Spine CT; Sagittal slice 330/512; the image spans 150 mm across
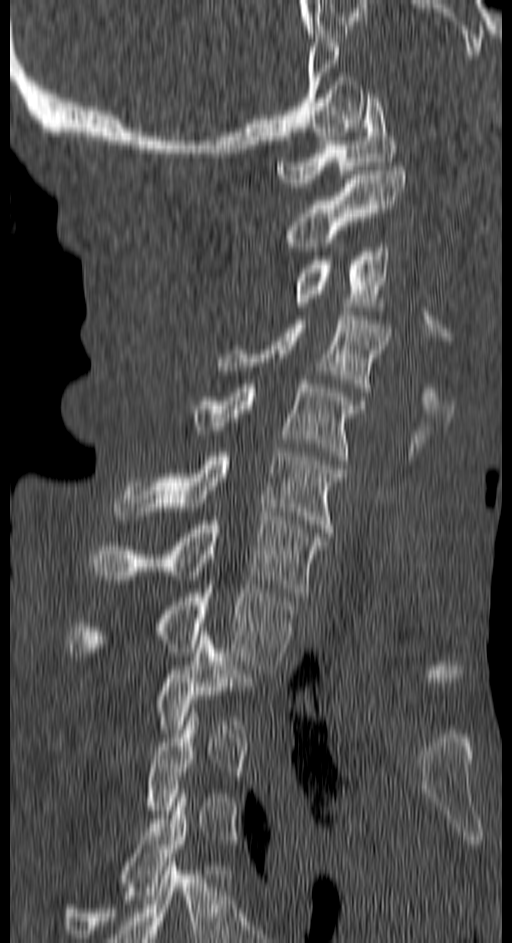

Boxes are given in columns x1, y1, x2, y2, the pixel coordinates of their top-left and bottom-right corners.
Not every vertebra on this slice has a box: a vertebra is boxed only from the first to the last slice where its cross-section is at least a third of its largest, and this slice is outside that range for at least one of them.
| vertebra | x1 | y1 | x2 | y2 |
|---|---|---|---|---|
| C1 | 278 | 94 | 396 | 187 |
| C2 | 288 | 166 | 406 | 251 |
| C3 | 295 | 243 | 389 | 306 |
| C4 | 218 | 311 | 390 | 392 |
| C5 | 186 | 380 | 364 | 460 |
| C6 | 114 | 452 | 342 | 532 |
| C7 | 90 | 516 | 324 | 596 |
| T1 | 69 | 585 | 292 | 669 |
| T2 | 158 | 636 | 254 | 729 |
| T4 | 62 | 789 | 188 | 942 |